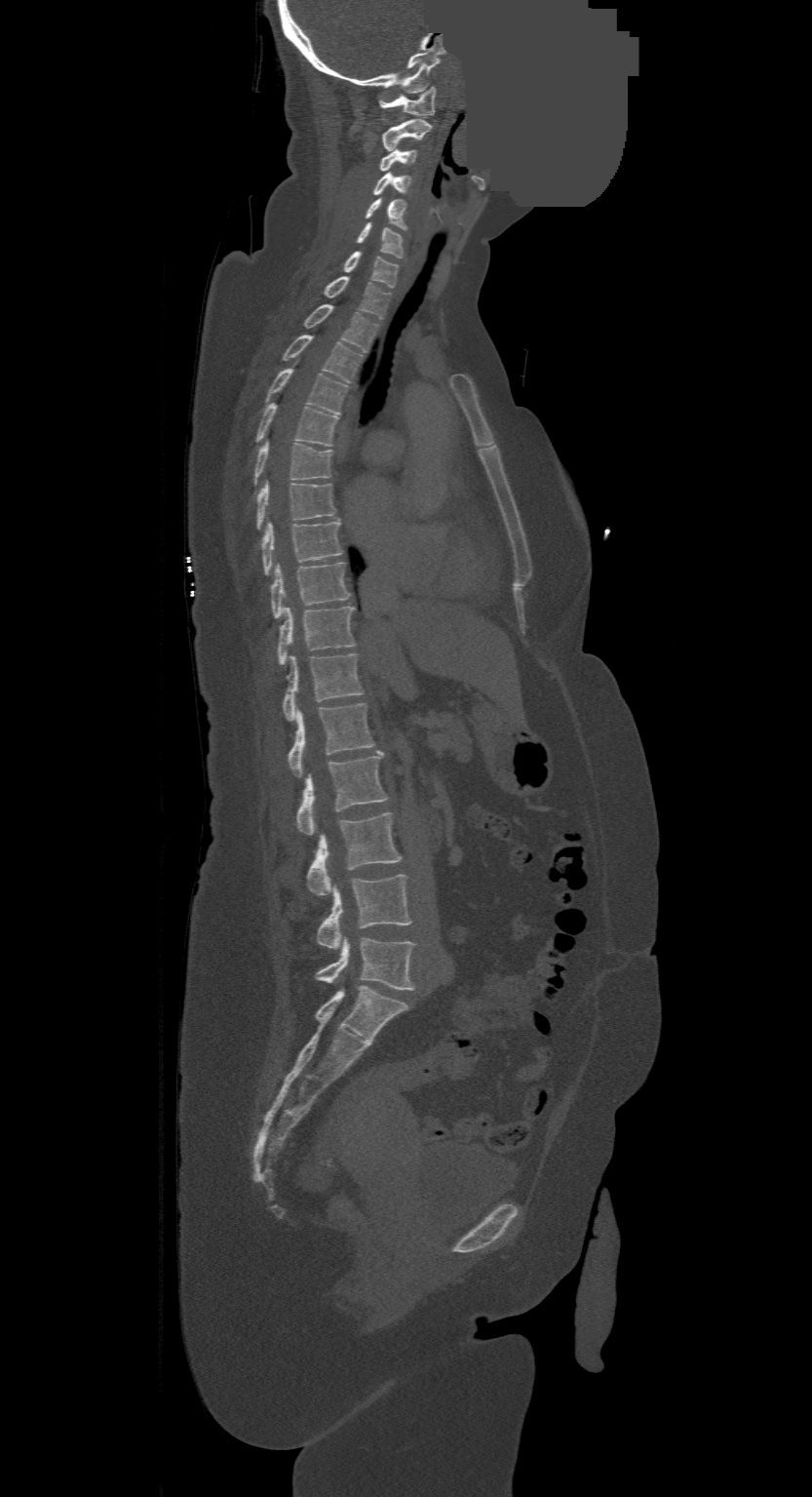

Spine CT — sagittal view — Bone window (WL 400, WW 1800) — 812x1497 px — a portion of the image is blanked out (constant pixel value)
Boxes below are [x1, y1, x2, y2] in pixels.
The highest labeled vertebra in this scan is C1; the lowest is L4.
{"vertebrae":{"C1":[379,87,434,116],"C2":[382,119,431,150],"C3":[381,148,416,172],"C4":[374,171,410,196],"C5":[365,197,406,227],"C6":[357,223,402,257],"C7":[344,251,398,287],"T1":[326,277,391,320],"T2":[303,304,378,352],"T3":[283,335,361,383],"T4":[266,368,346,414],"T5":[257,404,338,447],"T6":[255,439,332,484],"T7":[257,478,335,530],"T8":[262,519,342,574],"T9":[271,561,350,617],"T10":[278,605,355,664],"T11":[283,653,363,721],"T12":[288,702,375,776],"L1":[296,751,388,835],"L2":[308,813,401,895],"L3":[318,875,410,949],"L4":[318,936,413,989]}}